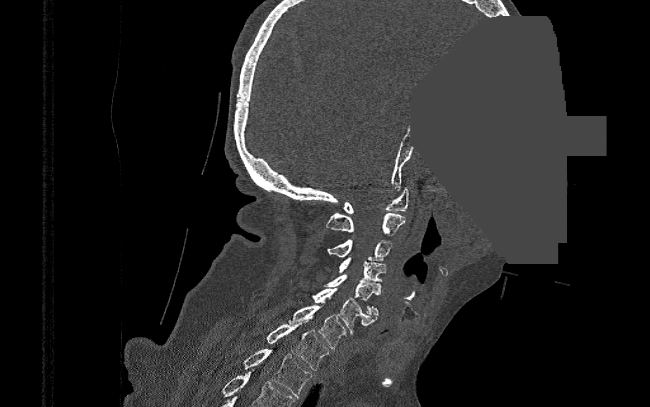 Computed tomography of the spine — sagittal view — an area of the scan was removed and filled with constant pixels
In the table, x1 and y1 are a box's top-left corner and x2 and y2 its bottom-right corner, in pixels.
| vertebra | x1 | y1 | x2 | y2 |
|---|---|---|---|---|
| C1 | 343 | 188 | 408 | 213 |
| C2 | 326 | 212 | 405 | 235 |
| C3 | 328 | 239 | 393 | 260 |
| C4 | 339 | 257 | 386 | 282 |
| C5 | 324 | 274 | 380 | 315 |
| C6 | 311 | 288 | 377 | 334 |
| C7 | 287 | 305 | 346 | 349 |
| T1 | 267 | 320 | 328 | 370 |
| T2 | 242 | 349 | 311 | 398 |